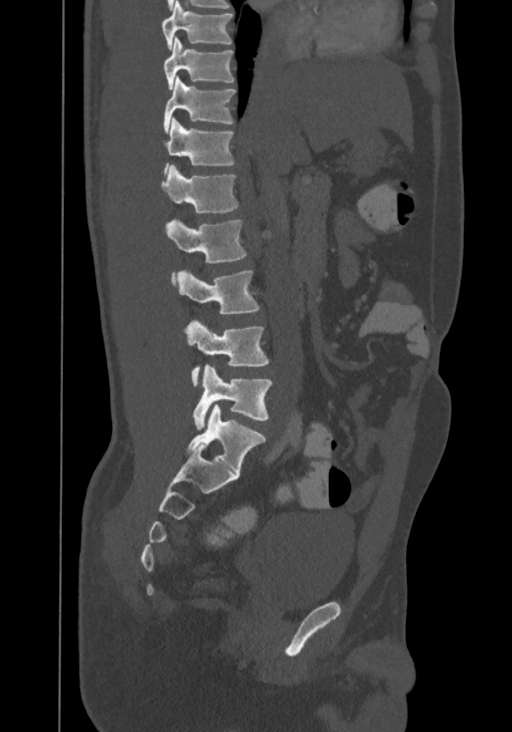 Computed tomography of the spine · sagittal view
This scan's labels start at T8 at the top and end at L4 at the bottom.
<vertebrae><v name="T8" x1="162" y1="0" x2="232" y2="49"/><v name="T9" x1="163" y1="36" x2="233" y2="89"/><v name="T10" x1="164" y1="77" x2="235" y2="132"/><v name="T11" x1="163" y1="118" x2="233" y2="172"/><v name="T12" x1="160" y1="166" x2="237" y2="214"/><v name="L1" x1="164" y1="220" x2="246" y2="284"/><v name="L2" x1="176" y1="270" x2="258" y2="314"/><v name="L3" x1="185" y1="320" x2="268" y2="386"/><v name="L4" x1="194" y1="364" x2="271" y2="430"/></vertebrae>